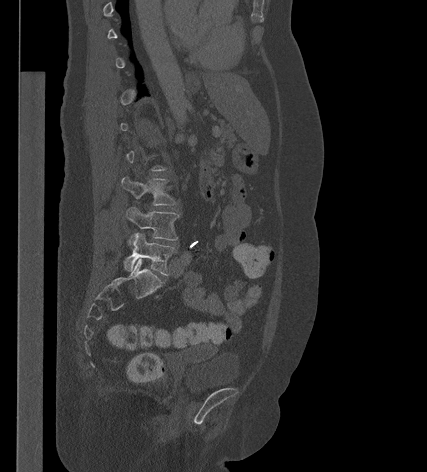 Spine computed tomography. sagittal reformat. bone window

Boxes: x1:y1:x2:y2 in pixels.
A vertebra is boxed only from the first to the last slice where its cross-section is at least a third of its largest; slices outside that range leave it without a box.
L5: 124:233:176:275
L4: 126:206:179:244
L3: 121:176:176:205